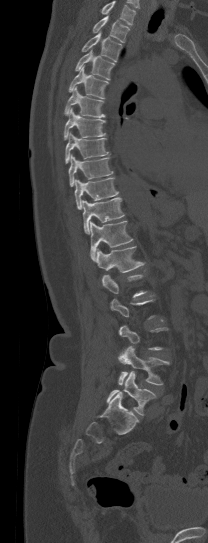

CT, spine · sagittal reformat · 208x543 px
Boxes: x1 y1 x2 y2 (pixel coords, space-separated).
Each vertebra is boxed only on the slices from the first to the last where its cross-section reaches a third of its largest, so a slice outside that range leaves it unboxed.
Where the top of the scan cuts through a vertebra, that vertebra gets no label or box.
Vertebra bounding boxes:
- L5: 107 371 155 415
- L4: 117 346 169 385
- T12: 96 246 145 272
- T11: 90 221 132 261
- T10: 82 197 124 233
- T9: 74 177 118 209
- T8: 68 154 112 186
- T7: 65 133 108 163
- T6: 64 108 105 140
- T5: 64 86 105 117
- T4: 69 64 108 98
- T3: 75 49 114 80
- T2: 82 32 121 61
- T1: 93 15 130 42